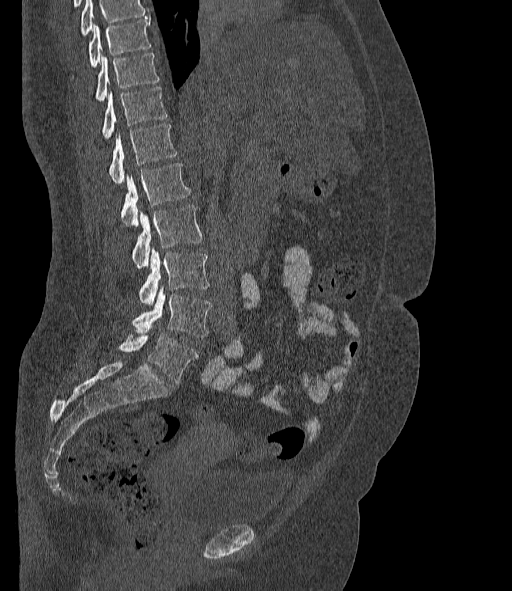
Computed tomography of the spine — sagittal view — the image is 377 mm wide — 512x591 px
Each box is [x1, y1, x2, y2] in pixels: top-left corner, then bottom-right corner.
A vertebra cut off by the top edge of the scan is not labeled and has no box.
The labels name a sixth lumbar vertebra for this spine: L6, after L5.
{"vertebrae":{"L6":[119,333,198,382],"L5":[133,287,211,337],"L4":[138,249,208,305],"L3":[132,205,201,268],"L2":[121,163,190,226],"L1":[110,124,177,184],"T12":[103,87,167,139],"T11":[96,53,159,101],"T10":[89,19,151,67]}}